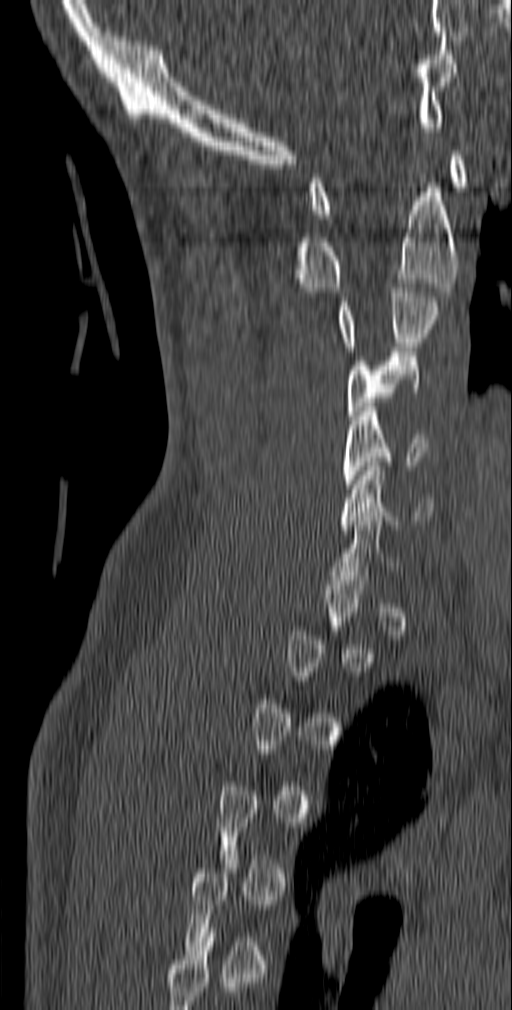

Spine computed tomography; sagittal view; 512x1010 px; image width 140 mm
Box values are [left, top, right, bottom] in pixels.
Not every vertebra on this slice has a box: a vertebra is boxed only from the first to the last slice where its cross-section is at least a third of its largest, and this slice is outside that range for at least one of them.
{"vertebrae":{"C1":[309,151,468,218],"C2":[275,187,459,292],"C3":[338,283,439,351],"C4":[347,352,421,420],"C5":[343,407,430,488],"C6":[340,462,433,529]}}